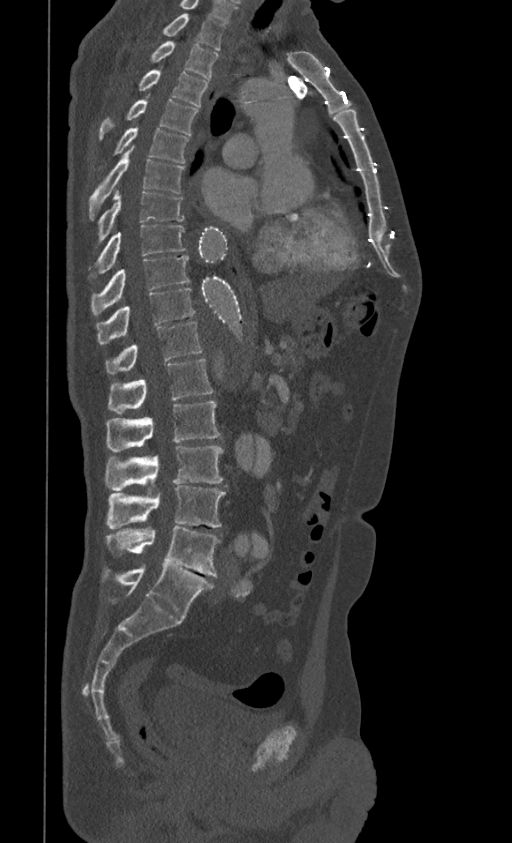
Computed tomography of the spine — sagittal view — bone-window reconstruction — 512x843 px — the image is 399 mm wide. Boxes are (x1, y1, x2, y2) in pixels. This scan's labels start at T1 at the top and end at L5 at the bottom. The labeled vertebrae in this slice are: T1 at (163, 13, 225, 50), T2 at (152, 42, 218, 80), T3 at (139, 69, 208, 106), T4 at (99, 94, 198, 139), T5 at (115, 125, 189, 163), T6 at (88, 147, 184, 218), T7 at (97, 189, 184, 240), T8 at (88, 224, 185, 280), T9 at (91, 255, 190, 314), T10 at (96, 288, 195, 344), T11 at (105, 322, 202, 373), T12 at (108, 359, 213, 414), L1 at (106, 401, 221, 452), L2 at (105, 446, 223, 491), L3 at (106, 485, 226, 529), L4 at (105, 527, 220, 576), L5 at (103, 565, 213, 618).